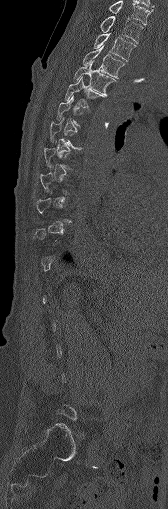 Computed tomography of the spine · sagittal reformat · 168x509 px · 168 mm across the image
Box values are [left, top, right, bottom] in pixels.
A vertebra is boxed only from the first to the last slice where its cross-section is at least a third of its largest; slices outside that range leave it without a box.
{"vertebrae":{"T5":[64,77,103,108],"T4":[74,60,116,95],"T3":[82,46,125,77],"T2":[93,34,135,60],"T1":[100,16,143,42],"C7":[109,1,150,24]}}